Spine computed tomography · sagittal view · W/L 1800/400 HU
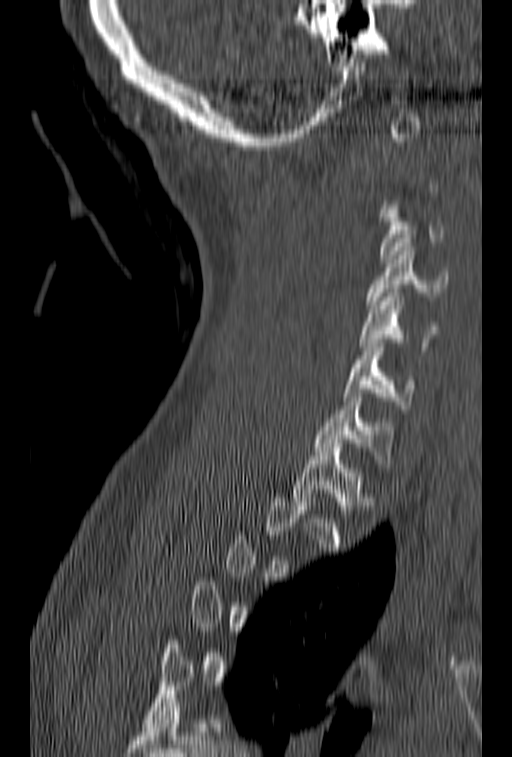
Each box given as x1,y1,x2,y2.
Each vertebra is boxed only on the slices from the first to the last where its cross-section reaches a third of its largest, so a slice outside that range leaves it unboxed.
Vertebra bounding boxes:
- T1: x1=294, y1=443, x2=372, y2=514
- C7: x1=316, y1=393, x2=392, y2=463
- C6: x1=343, y1=343, x2=415, y2=413
- C5: x1=359, y1=293, x2=439, y2=350
- C4: x1=366, y1=247, x2=448, y2=309
- C3: x1=379, y1=201, x2=445, y2=263